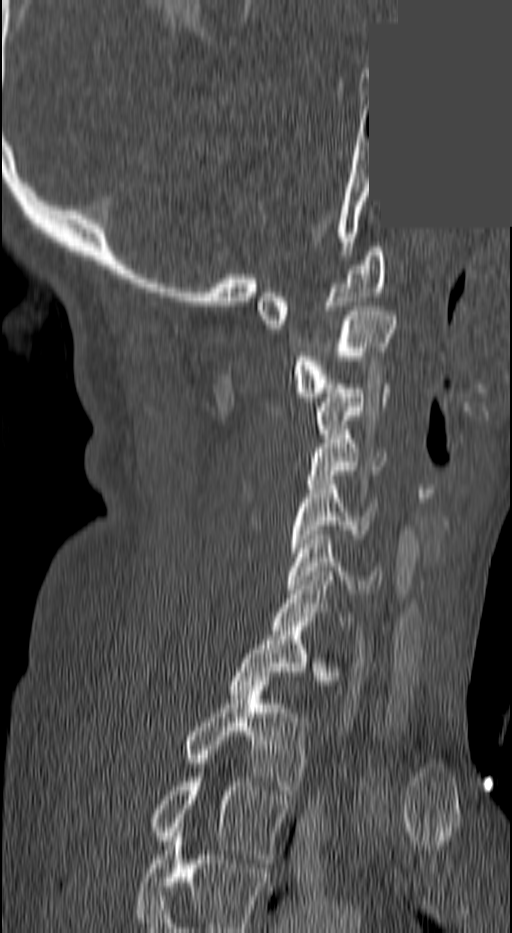
CT spine; 140 mm across the image; sagittal reformat; a region of this slice is masked with a uniform fill
Boxes: x1 y1 x2 y2 (pixel coords, space-separated).
In this scan, the topmost labeled vertebra is C1 and the lowest is T3.
C1: 256 247 388 328
C2: 293 306 395 397
C3: 317 384 391 438
C4: 305 434 385 484
C5: 289 480 376 552
C6: 287 535 381 598
C7: 272 576 350 630
T1: 228 631 337 694
T2: 184 681 308 794
T3: 148 777 289 863